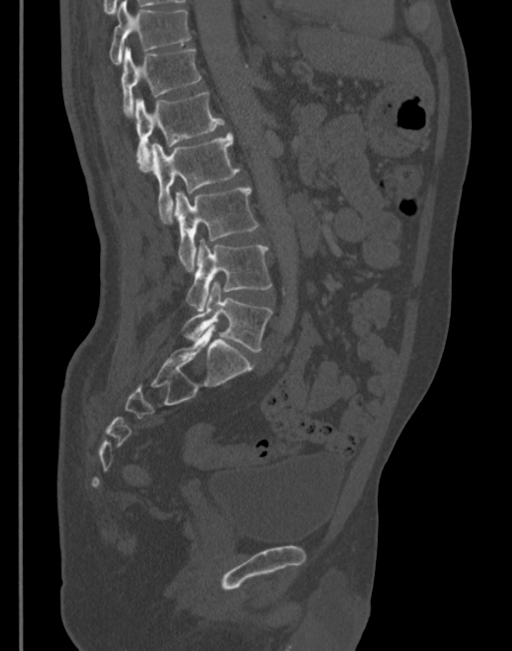
Spine computed tomography; sagittal view; Bone window (WL 400, WW 1800); 345 mm across the image

Each row gives a vertebra's box as x1, y1, x2, y2 in pixels: top-left corner, then bottom-right corner.
| vertebra | x1 | y1 | x2 | y2 |
|---|---|---|---|---|
| L5 | 182 | 281 | 272 | 352 |
| L4 | 187 | 240 | 272 | 311 |
| L3 | 173 | 188 | 258 | 270 |
| L2 | 151 | 133 | 239 | 220 |
| L1 | 135 | 91 | 224 | 170 |
| T12 | 121 | 46 | 201 | 117 |
| T11 | 110 | 2 | 190 | 63 |